Spine computed tomography; sagittal view; Bone window (WL 400, WW 1800); 512x483 px; 445 mm wide
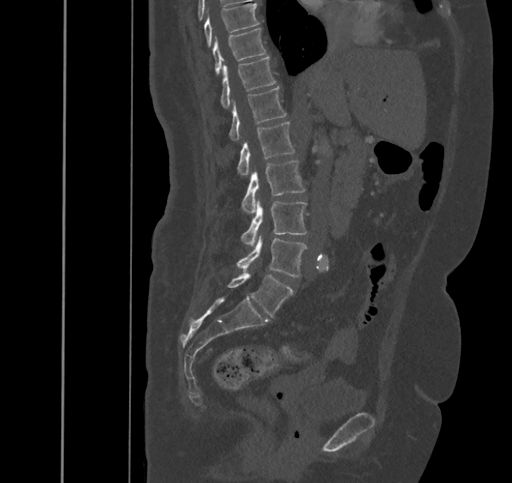 Each box is [x1, y1, x2, y2] in pixels: top-left corner, then bottom-right corner.
{"vertebrae":{"T9":[204,3,259,46],"T10":[213,28,266,74],"T11":[221,57,276,108],"T12":[229,87,287,141],"L1":[237,121,295,174],"L2":[242,161,305,213],"L3":[242,200,306,245],"L4":[237,234,306,277],"L5":[220,271,292,317]}}